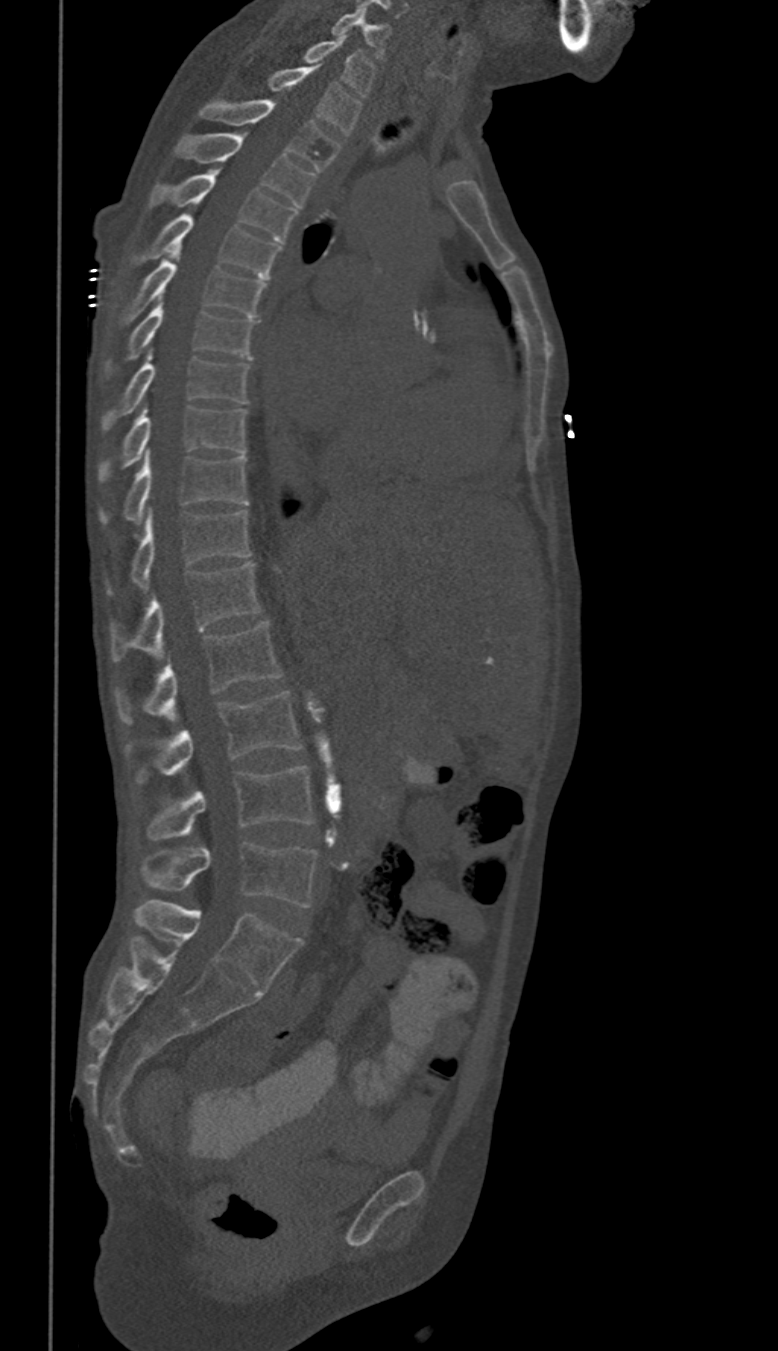 CT, spine — sagittal view. Bounding boxes as [x1, y1, x2, y2] in pixel coordinates.
These labels give this spine no T12: after T11 the next vertebra is L1.
Vertebra bounding boxes:
- C6: [331, 8, 389, 57]
- C7: [304, 34, 374, 97]
- T1: [269, 65, 361, 135]
- T2: [199, 100, 339, 171]
- T3: [175, 134, 313, 206]
- T4: [150, 169, 297, 242]
- T5: [134, 214, 279, 277]
- T6: [125, 247, 265, 319]
- T7: [108, 298, 253, 368]
- T8: [102, 349, 248, 428]
- T9: [100, 405, 248, 482]
- T10: [100, 452, 248, 522]
- T11: [108, 509, 250, 593]
- L1: [111, 563, 259, 662]
- L2: [115, 620, 282, 724]
- L3: [126, 692, 301, 782]
- L4: [146, 765, 312, 839]
- L5: [141, 843, 316, 906]